CT, spine · sagittal reformat · the image is 461 mm wide
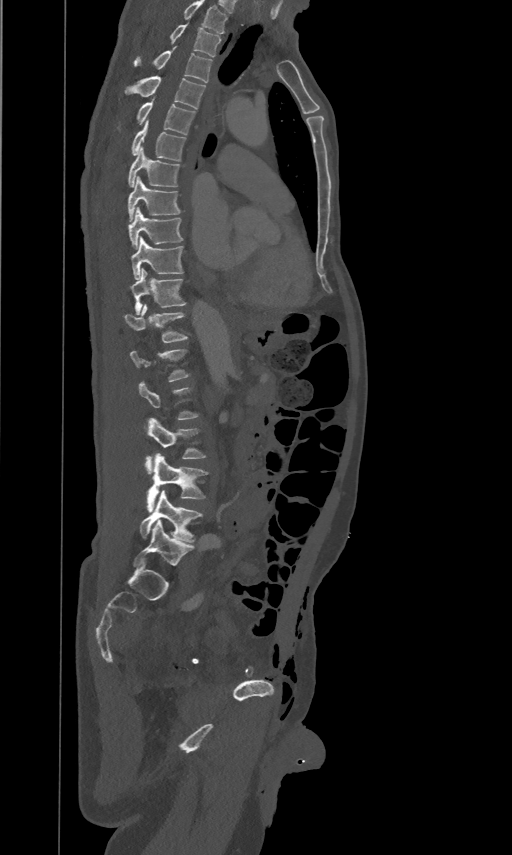 Box values are [left, top, right, bottom] in pixels.
A vertebra is boxed only from the first to the last slice where its cross-section is at least a third of its largest; slices outside that range leave it without a box.
In this scan, the topmost labeled vertebra is T2 and the lowest is L5.
{"vertebrae":{"T2":[170,23,221,56],"T3":[134,46,212,82],"T4":[125,75,205,109],"T5":[136,96,194,134],"T6":[132,119,186,160],"T7":[128,145,179,185],"T8":[128,176,179,220],"T9":[129,205,182,248],"T10":[131,236,182,279],"T11":[131,267,186,314],"T12":[124,303,187,341],"L3":[145,416,205,473],"L4":[146,453,207,512],"L5":[140,491,202,542]}}